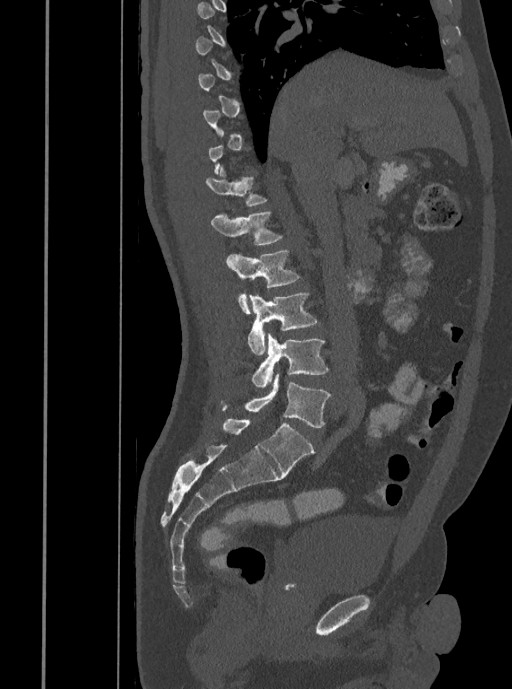
Spine computed tomography · sagittal view

Boxes: x1 y1 x2 y2 (pixel coords, space-separated). Each vertebra is boxed only on the slices from the first to the last where its cross-section reaches a third of its largest, so a slice outside that range leaves it unboxed. The labeled vertebrae in this slice are: T12 at 205 167 266 206, L1 at 211 212 281 245, L2 at 226 250 299 313, L3 at 248 293 316 355, L4 at 252 333 328 388, L5 at 223 373 330 427.